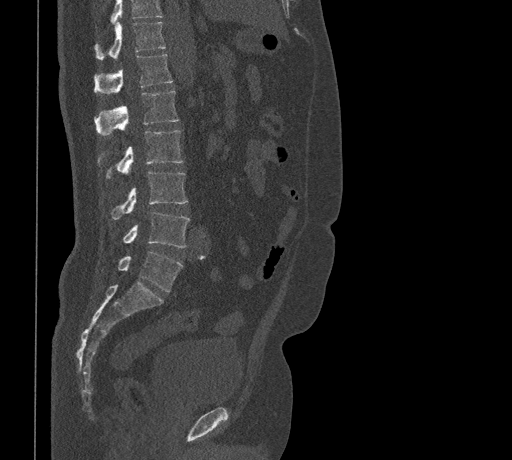 Spine CT — sagittal view — 461 mm across the image
Boxes: x1:y1:x2:y2 in pixels.
No box is given to a vertebra that the top edge of the scan cuts off.
T11: 94:21:165:59
T12: 94:55:172:94
L1: 94:90:179:135
L2: 98:130:183:178
L3: 110:171:188:219
L4: 122:211:190:247
L5: 117:251:182:291